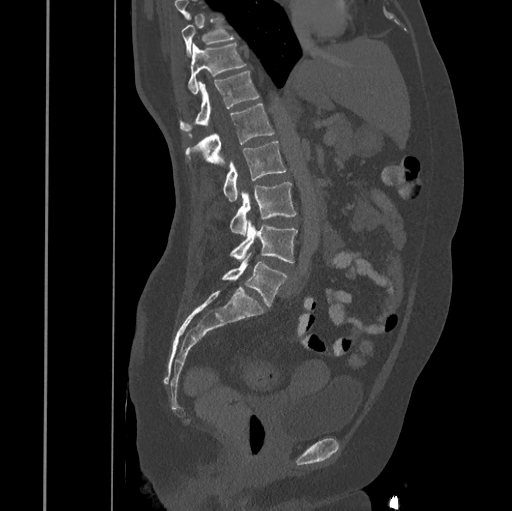
Spine computed tomography — sagittal reformat — image 445 mm wide — 512x511 px
A vertebra cut off by the top edge of the scan is not labeled and has no box.
<vertebrae><v name="L5" x1="222" y1="253" x2="288" y2="306"/><v name="L4" x1="230" y1="220" x2="297" y2="262"/><v name="L3" x1="230" y1="181" x2="296" y2="236"/><v name="L2" x1="223" y1="141" x2="285" y2="201"/><v name="L1" x1="185" y1="104" x2="274" y2="166"/><v name="T12" x1="179" y1="71" x2="259" y2="137"/><v name="T11" x1="187" y1="42" x2="245" y2="93"/><v name="T10" x1="182" y1="19" x2="235" y2="56"/></vertebrae>